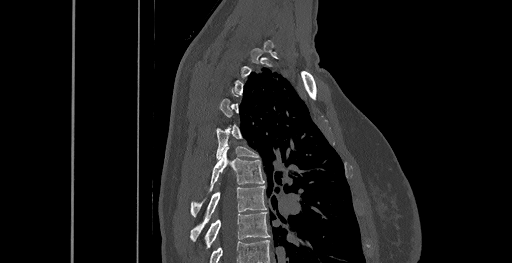
Computed tomography of the spine; the image is 461 mm wide; sagittal reformat; 512x263 px
Each vertebra maps to its box as [x1, y1, x2, y2], the pixel coordinates of its top-left and bottom-right corners.
Each vertebra is boxed only on the slices from the first to the last where its cross-section reaches a third of its largest, so a slice outside that range leaves it unboxed.
Labels in this scan begin with C6 at the top and end with T8 at the bottom.
{"vertebrae":{"T8":[204,212,270,246],"T7":[190,186,266,241],"T6":[191,147,264,216],"T5":[216,127,258,159]}}